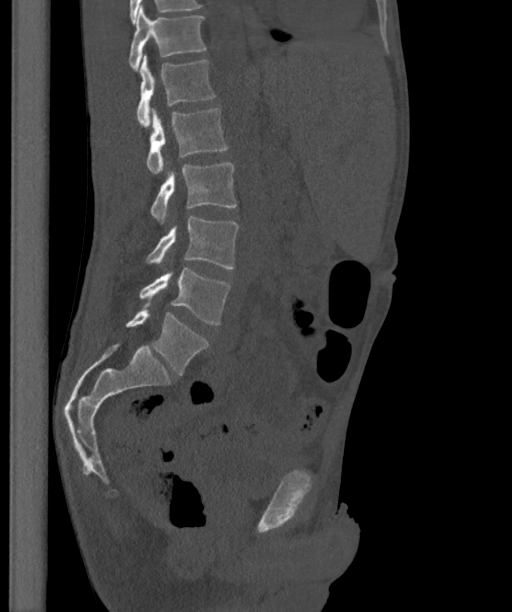

CT spine · sagittal view · W/L 1800/400 HU
Boxes are given in columns x1, y1, x2, y2, the pixel coordinates of their top-left and bottom-right corners.
The labels name a sixth lumbar vertebra for this spine: L6, after L5.
| vertebra | x1 | y1 | x2 | y2 |
|---|---|---|---|---|
| L6 | 125 | 310 | 208 | 373 |
| L5 | 139 | 268 | 230 | 324 |
| L4 | 145 | 216 | 239 | 268 |
| L3 | 151 | 162 | 237 | 225 |
| L2 | 146 | 108 | 227 | 174 |
| L1 | 136 | 55 | 215 | 127 |
| T12 | 128 | 5 | 206 | 70 |